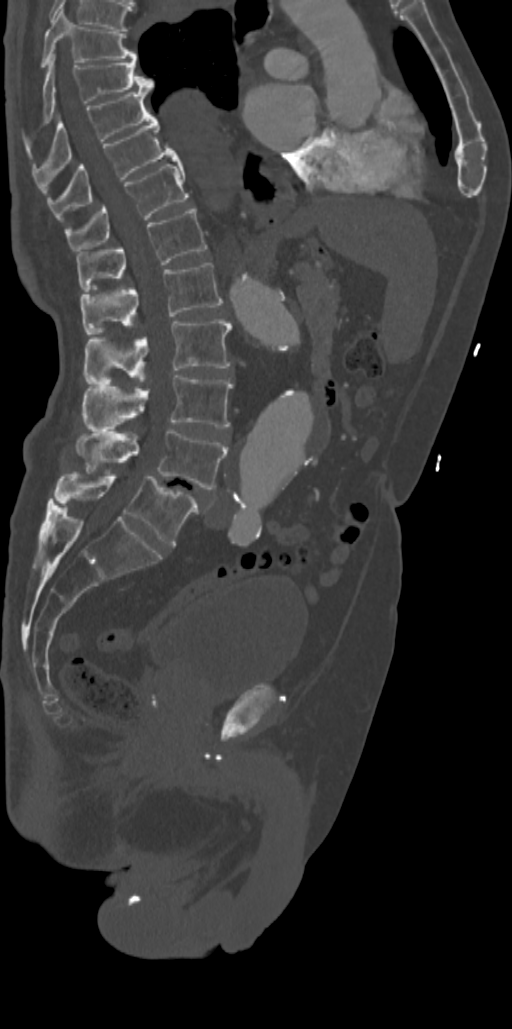 CT — sagittal reformat — 512x1029 px

Each box is [x1, y1, x2, y2] in pixels: top-left corner, then bottom-right corner.
{"vertebrae":{"T7":[40,9,137,66],"T8":[42,54,153,125],"T9":[33,90,150,174],"T10":[46,115,178,219],"T11":[64,162,189,251],"T12":[76,207,207,291],"L1":[81,263,222,334],"L2":[84,319,231,383],"L3":[84,375,232,430],"L4":[76,427,228,489],"L5":[51,472,198,545]}}